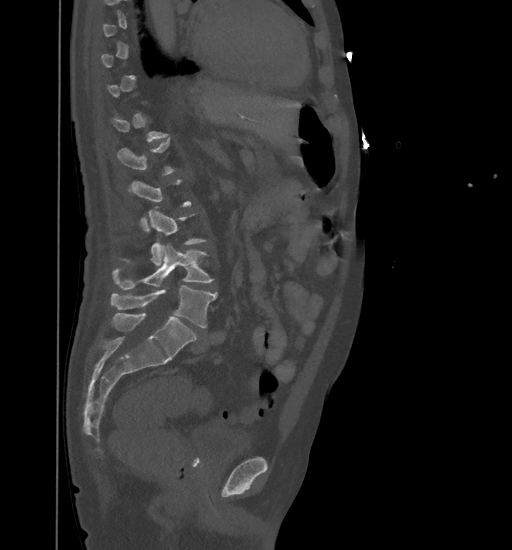 Computed tomography of the spine. sagittal view. In the table, x1 and y1 are a box's top-left corner and x2 and y2 its bottom-right corner, in pixels.
A vertebra is boxed only from the first to the last slice where its cross-section is at least a third of its largest; slices outside that range leave it without a box.
| vertebra | x1 | y1 | x2 | y2 |
|---|---|---|---|---|
| L1 | 117 | 139 | 173 | 191 |
| L3 | 121 | 208 | 206 | 265 |
| L4 | 113 | 243 | 213 | 289 |
| L5 | 111 | 286 | 217 | 327 |